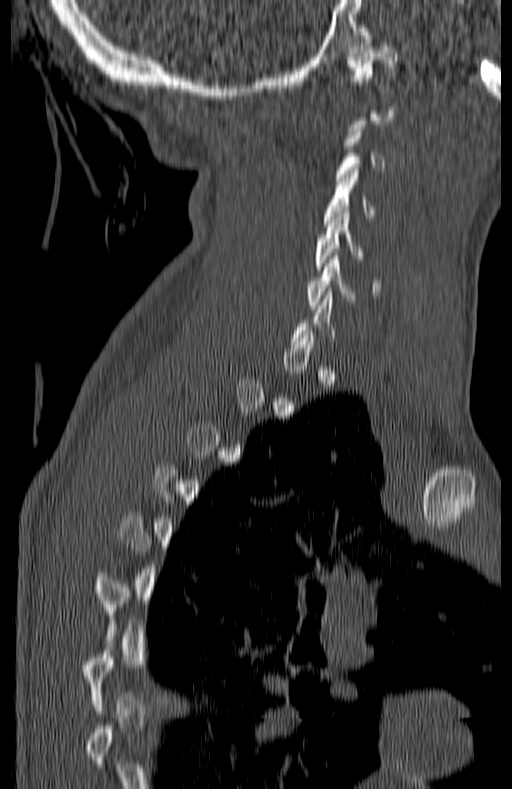
Spine CT · 180 mm across the image · sagittal view

A vertebra is boxed only from the first to the last slice where its cross-section is at least a third of its largest; slices outside that range leave it without a box.
<vertebrae><v name="C1" x1="347" y1="43" x2="398" y2="91"/><v name="C3" x1="336" y1="128" x2="384" y2="184"/><v name="C4" x1="325" y1="171" x2="375" y2="219"/><v name="C5" x1="315" y1="210" x2="361" y2="269"/><v name="C6" x1="308" y1="256" x2="378" y2="308"/></vertebrae>